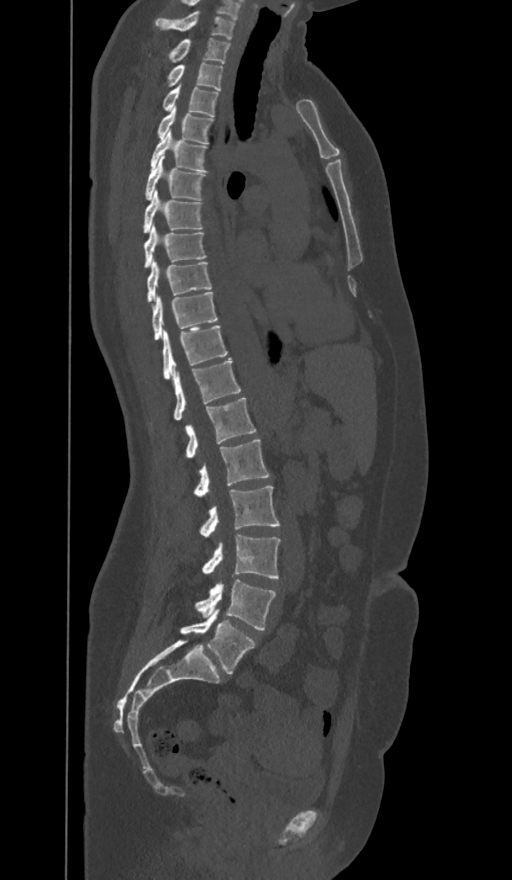

Spine computed tomography · sagittal view · W/L 1800/400 HU. Box edges are left/top/right/bottom in pixels.
In these labels the spine has an L6, a sixth lumbar vertebra below L5.
| vertebra | x1 | y1 | x2 | y2 |
|---|---|---|---|---|
| C7 | 155 | 11 | 234 | 40 |
| T1 | 168 | 38 | 230 | 63 |
| T2 | 167 | 63 | 222 | 90 |
| T3 | 163 | 85 | 218 | 116 |
| T4 | 157 | 106 | 212 | 143 |
| T5 | 150 | 131 | 208 | 171 |
| T6 | 145 | 155 | 204 | 200 |
| T7 | 144 | 190 | 203 | 233 |
| T8 | 144 | 225 | 206 | 266 |
| T9 | 146 | 261 | 211 | 301 |
| T10 | 152 | 292 | 218 | 339 |
| T11 | 163 | 325 | 227 | 380 |
| T12 | 172 | 359 | 241 | 420 |
| L1 | 185 | 398 | 256 | 457 |
| L2 | 194 | 439 | 269 | 497 |
| L3 | 200 | 485 | 279 | 536 |
| L4 | 202 | 535 | 279 | 578 |
| L5 | 196 | 580 | 275 | 630 |
| L6 | 181 | 609 | 255 | 673 |